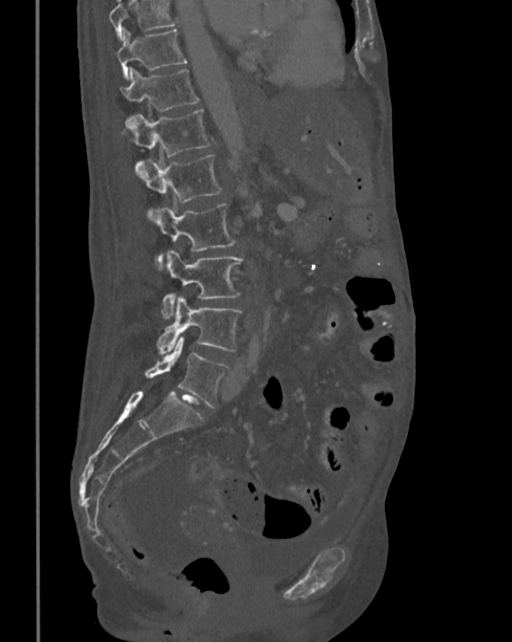
CT, spine; sagittal reformat; 512x642 px; image width 342 mm. Box edges are left/top/right/bottom in pixels.
No box is given to a vertebra that the top edge of the scan cuts off.
T10: left=117, top=29, right=187, bottom=79
T11: left=120, top=68, right=199, bottom=127
T12: left=128, top=110, right=211, bottom=176
L1: left=140, top=155, right=222, bottom=222
L2: left=155, top=204, right=235, bottom=269
L3: left=161, top=250, right=243, bottom=319
L4: left=157, top=297, right=241, bottom=354
L5: left=145, top=337, right=229, bottom=408